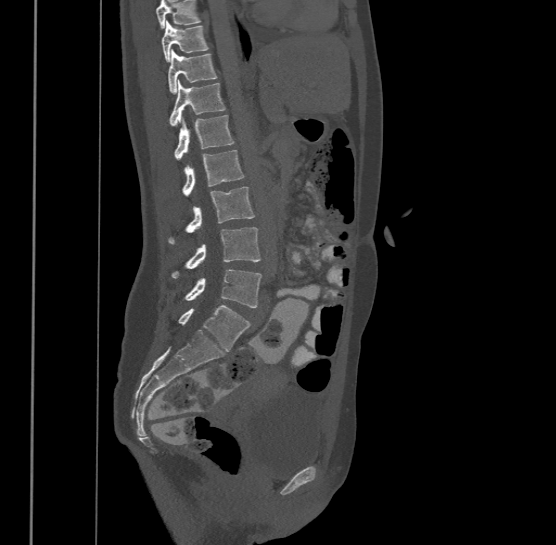 CT, spine · sagittal view · 556x545 px. Coordinates as <box>x1,y1,x2,y2</box>.
Where the top of the scan cuts through a vertebra, that vertebra gets no label or box.
Labels in this scan begin with T9 at the top and end with L4 at the bottom.
Vertebra bounding boxes:
- T9: <box>161,20,210,61</box>
- T10: <box>168,49,217,92</box>
- T11: <box>169,78,226,126</box>
- T12: <box>175,114,234,159</box>
- L1: <box>183,150,244,195</box>
- L2: <box>169,186,255,242</box>
- L3: <box>173,227,261,277</box>
- L4: <box>186,268,262,307</box>